CT — the image spans 180 mm across — sagittal reformat — 12 vertebrae labeled in this scan
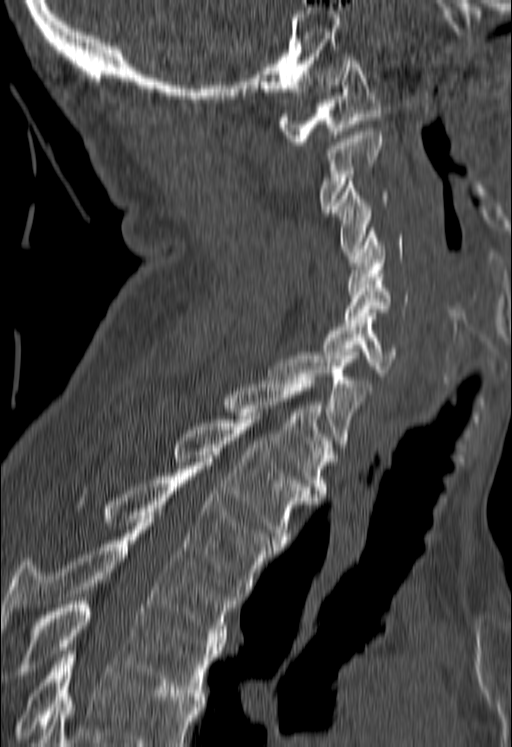 Boxes: x1 y1 x2 y2 (pixel coords, space-separated).
Vertebrae that run past the bottom of the scan are left unlabeled.
Vertebra bounding boxes:
- T5: 18 601 222 696
- T4: 0 519 239 643
- T3: 103 469 279 596
- T2: 172 416 313 547
- T1: 223 377 333 497
- C7: 268 356 371 451
- C6: 322 316 395 376
- C5: 345 274 408 323
- C4: 347 228 403 291
- C3: 333 178 388 255
- C2: 319 128 381 212
- C1: 278 57 381 145